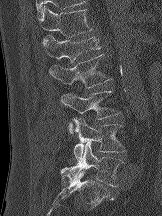

CT spine — sagittal view — 162x216 px

Each box given as x1,y1,x2,y2.
L5: x1=60, y1=142, x2=124, y2=186
L4: x1=72, y1=117, x2=125, y2=161
L3: x1=61, y1=90, x2=121, y2=134
L2: x1=49, y1=54, x2=112, y2=99
L1: x1=42, y1=35, x2=100, y2=62
T12: x1=37, y1=6, x2=92, y2=38